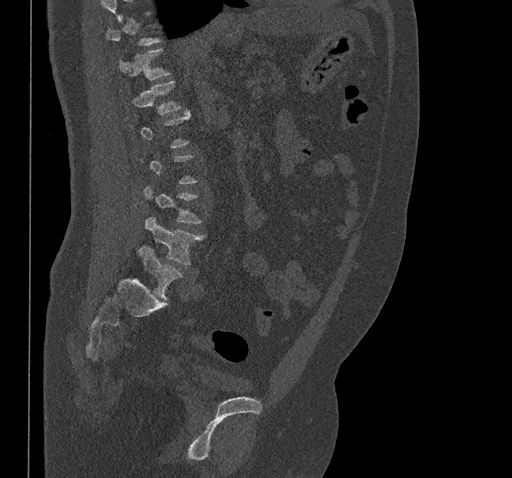 Computed tomography of the spine; sagittal view. Boxes are (x1, y1, x2, y2) in pixels. A vertebra is boxed only from the first to the last slice where its cross-section is at least a third of its largest; slices outside that range leave it without a box. Vertebrae labeled: T11 at (119, 49, 171, 79), T12 at (132, 80, 181, 114), L3 at (144, 185, 200, 224), L4 at (145, 217, 205, 265), L5 at (139, 246, 182, 299).